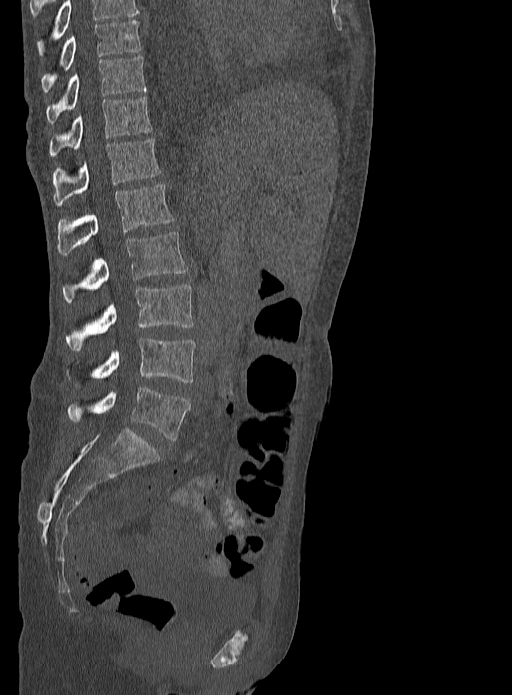

CT. 333 mm across the image. sagittal view. Bone window (WL 400, WW 1800)
Coordinates as <box>x1,y1,x2,y2</box>. The highest labeled vertebra in this scan is T9; the lowest is L5. The labeled vertebrae in this slice are: T9 at <box>41,20,142,93</box>, T10 at <box>46,57,146,122</box>, T11 at <box>49,95,151,156</box>, T12 at <box>52,138,160,205</box>, L1 at <box>57,185,174,254</box>, L2 at <box>63,232,186,302</box>, L3 at <box>66,284,194,350</box>, L4 at <box>94,338,196,382</box>, L5 at <box>67,387,189,440</box>.